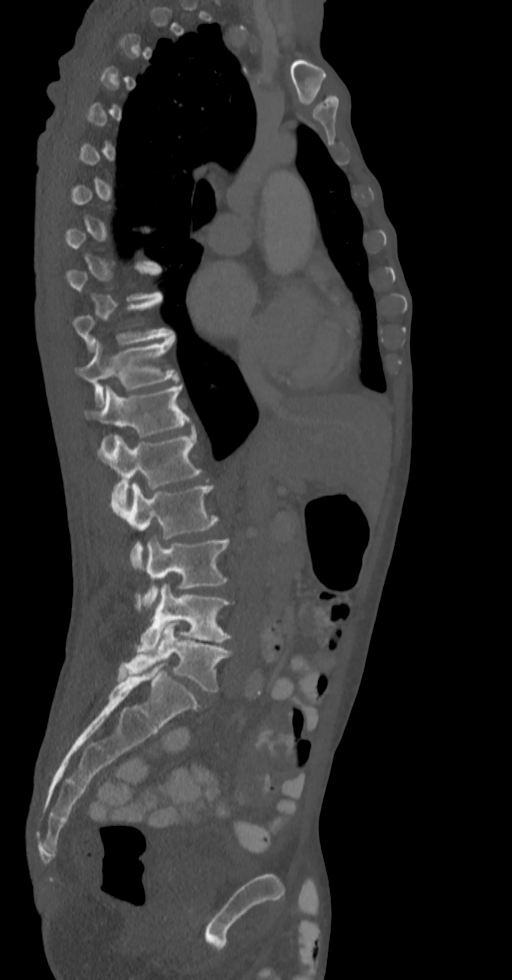

Spine computed tomography — sagittal view — Bone window (WL 400, WW 1800)
Boxes below are [x1, y1, x2, y2] in pixels.
A vertebra is boxed only from the first to the last slice where its cross-section is at least a third of its largest; slices outside that range leave it without a box.
{"vertebrae":{"L5":[119,622,232,692],"L4":[138,584,230,654],"L3":[144,538,229,609],"L2":[111,483,218,569],"L1":[97,431,201,511],"T12":[84,384,192,450],"T11":[76,338,179,404],"T10":[73,297,174,349]}}